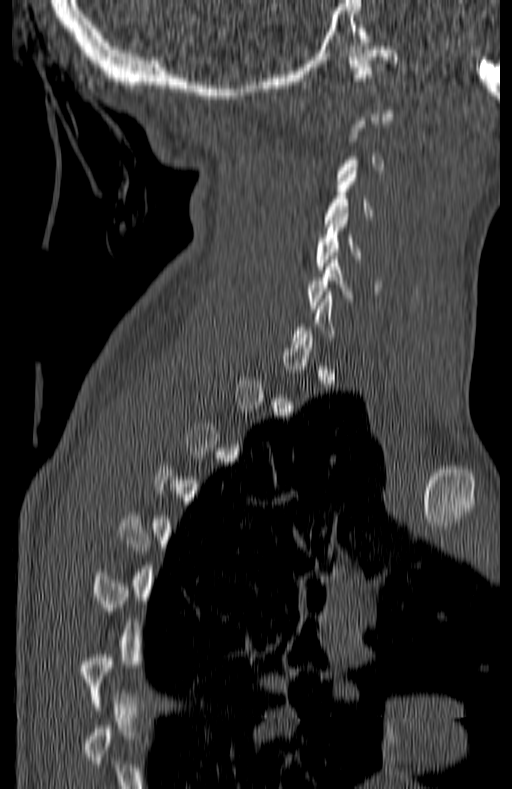 Computed tomography of the spine — sagittal view — bone window

Box edges are left/top/right/bottom in pixels. A vertebra is boxed only from the first to the last slice where its cross-section is at least a third of its largest; slices outside that range leave it without a box. Vertebrae labeled: C1 at left=348, top=43, right=398, bottom=84, C4 at left=325, top=171, right=375, bottom=219, C5 at left=316, top=210, right=361, bottom=269, C6 at left=308, top=256, right=378, bottom=308.